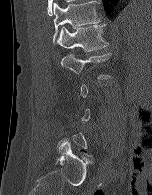
Spine CT. sagittal view. Bone window (WL 400, WW 1800). 152x195 px
A vertebra gets a box only on the slices from the first to the last where its cross-section is at least a third of its largest; on a slice outside that range it gets none.
<vertebrae><v name="T12" x1="53" y1="1" x2="100" y2="43"/><v name="L1" x1="56" y1="24" x2="108" y2="51"/><v name="L2" x1="61" y1="53" x2="111" y2="78"/></vertebrae>